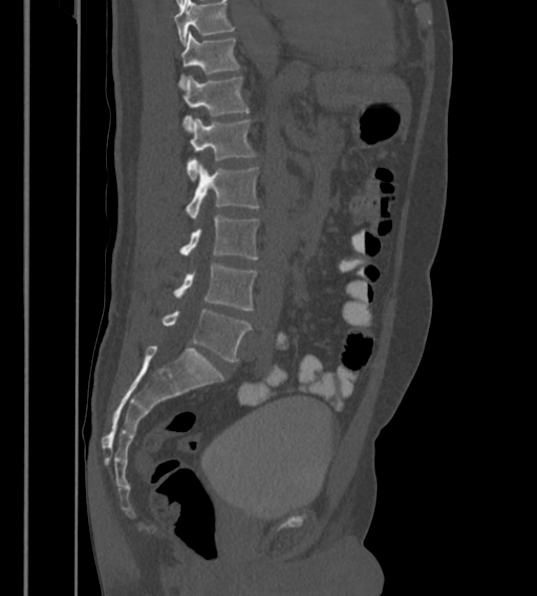

Computed tomography of the spine; sagittal view; 537x596 px
Each box is [x1, y1, x2, y2] in pixels: top-left corner, then bottom-right corner.
Labels in this scan begin with T12 at the top and end with L6 at the bottom.
In these labels the spine has an L6, a sixth lumbar vertebra below L5.
{"vertebrae":{"T12":[180,31,239,84],"L1":[180,76,249,129],"L2":[186,117,255,181],"L3":[186,163,259,220],"L4":[181,215,259,259],"L5":[175,264,256,310],"L6":[162,309,250,361]}}